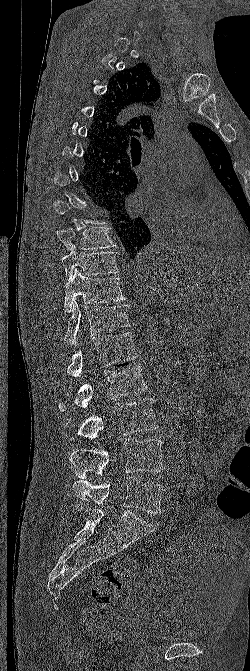 CT. sagittal view. bone-window reconstruction
A vertebra gets a box only on the slices from the first to the last where its cross-section is at least a third of its largest; on a slice outside that range it gets none.
<vertebrae><v name="L5" x1="72" y1="477" x2="165" y2="513"/><v name="L4" x1="69" y1="439" x2="164" y2="478"/><v name="L3" x1="64" y1="398" x2="158" y2="439"/><v name="L2" x1="58" y1="366" x2="147" y2="411"/><v name="L1" x1="66" y1="332" x2="137" y2="377"/><v name="T12" x1="64" y1="301" x2="131" y2="345"/><v name="T11" x1="64" y1="268" x2="127" y2="312"/><v name="T10" x1="61" y1="245" x2="119" y2="280"/><v name="T9" x1="56" y1="227" x2="117" y2="250"/></vertebrae>